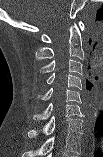

CT, spine; sagittal view; bone-window reconstruction; 103x157 px
Box edges are left/top/right/bottom in pixels.
Labels in this scan begin with C1 at the top and end with C7 at the bottom.
Vertebra bounding boxes:
- C1: left=41, top=21, right=84, bottom=42
- C2: left=35, top=22, right=84, bottom=59
- C3: left=39, top=59, right=82, bottom=74
- C4: left=46, top=73, right=81, bottom=89
- C5: left=41, top=88, right=81, bottom=103
- C6: left=33, top=103, right=84, bottom=120
- C7: left=27, top=116, right=82, bottom=137